CT, spine; sagittal plane, index 211; W/L 1800/400 HU
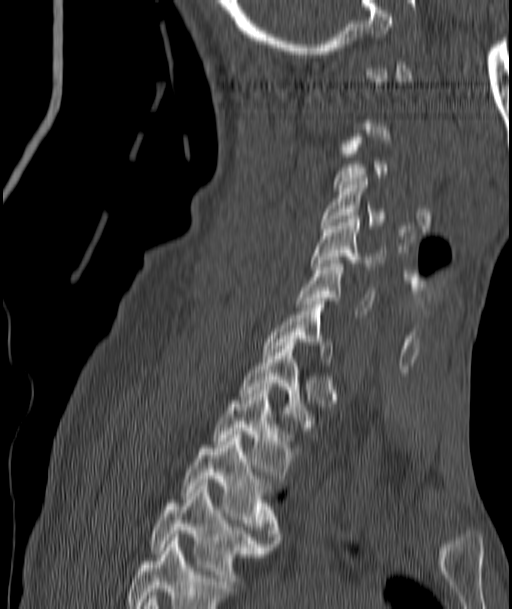

Each box given as x1,y1,x2,y2. Not every vertebra on this slice has a box: a vertebra is boxed only from the first to the last slice where its cross-section is at least a third of its largest, and this slice is outside that range for at least one of them. The labeled vertebrae in this slice are: T4 at x1=151, y1=483, x2=268, y2=588, T3 at x1=184, y1=431, x2=279, y2=543, T2 at x1=214, y1=387, x2=287, y2=478, T1 at x1=242, y1=339, x2=309, y2=427, C7 at x1=264, y1=301, x2=331, y2=362, C6 at x1=297, y1=260, x2=374, y2=314, C5 at x1=313, y1=216, x2=383, y2=269, C4 at x1=321, y1=178, x2=383, y2=228.